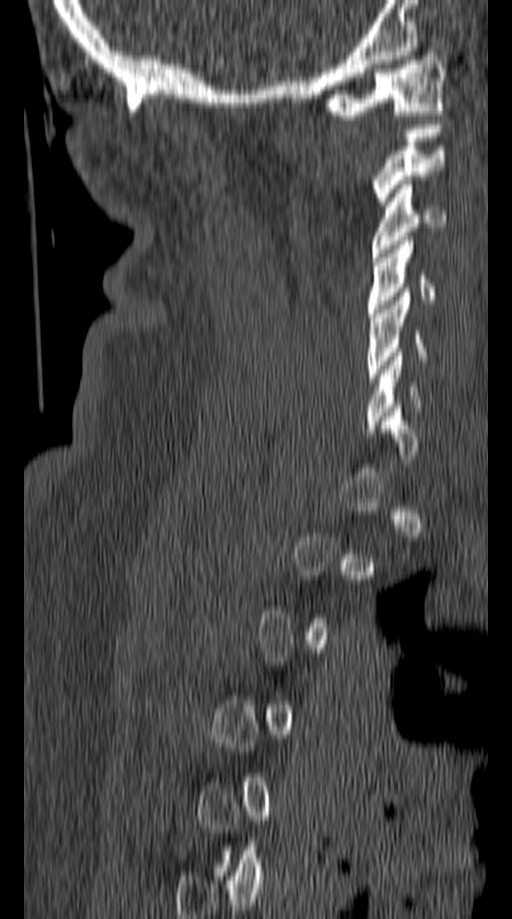

Spine CT · sagittal reformat · W/L 1800/400 HU
Columns x1, y1, x2, y2 give each box's top-left and bottom-right pixels.
Not every vertebra on this slice has a box: a vertebra is boxed only from the first to the last slice where its cross-section is at least a third of its largest, and this slice is outside that range for at least one of them.
| vertebra | x1 | y1 | x2 | y2 |
|---|---|---|---|---|
| C1 | 321 | 52 | 447 | 119 |
| C2 | 372 | 120 | 443 | 205 |
| C3 | 372 | 180 | 447 | 257 |
| C4 | 365 | 241 | 434 | 317 |
| C5 | 365 | 292 | 426 | 381 |